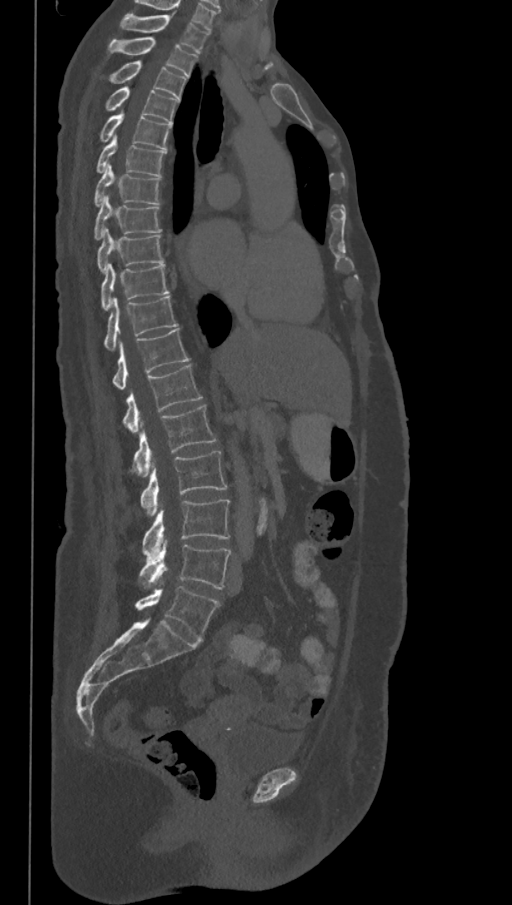

Computed tomography of the spine. sagittal view. 512x905 px
Each box given as x1,y1,x2,y2. This scan's labels start at T1 at the top and end at L6 at the bottom. These labels give the spine a sixth lumbar vertebra, L6, below L5. The labeled vertebrae in this slice are: T1 at x1=119, y1=14, x2=209, y2=53, T2 at x1=108, y1=38, x2=198, y2=77, T3 at x1=110, y1=61, x2=187, y2=99, T4 at x1=106, y1=86, x2=180, y2=124, T5 at x1=100, y1=111, x2=171, y2=149, T6 at x1=96, y1=135, x2=166, y2=177, T7 at x1=94, y1=164, x2=160, y2=206, T8 at x1=94, y1=194, x2=160, y2=239, T9 at x1=97, y1=228, x2=163, y2=273, T10 at x1=101, y1=263, x2=169, y2=311, T11 at x1=104, y1=296, x2=177, y2=351, T12 at x1=112, y1=329, x2=188, y2=390, L1 at x1=122, y1=364, x2=202, y2=432, L2 at x1=132, y1=404, x2=216, y2=477, L3 at x1=140, y1=451, x2=227, y2=516, L4 at x1=142, y1=500, x2=230, y2=560, L5 at x1=139, y1=540, x2=231, y2=589, L6 at x1=135, y1=587, x2=220, y2=641.